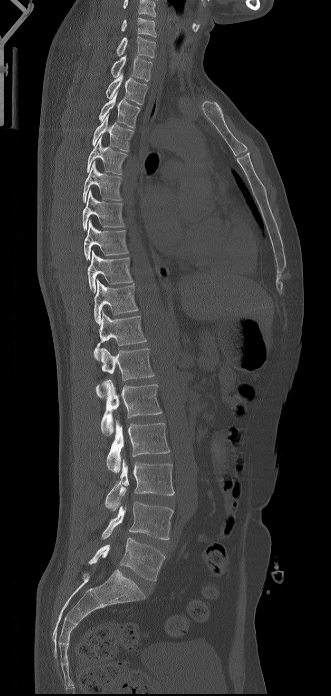 Spine CT — sagittal view — 331x696 px — image 331 mm wide. Boxes are given in columns x1, y1, x2, y2, the pixel coordinates of their top-left and bottom-right corners.
In this scan, the topmost labeled vertebra is C6 and the lowest is L5.
| vertebra | x1 | y1 | x2 | y2 |
|---|---|---|---|---|
| L5 | 88 | 537 | 165 | 581 |
| L4 | 101 | 501 | 173 | 539 |
| L3 | 105 | 459 | 174 | 510 |
| L2 | 106 | 420 | 170 | 473 |
| L1 | 101 | 380 | 162 | 434 |
| T12 | 96 | 348 | 154 | 398 |
| T11 | 93 | 312 | 146 | 360 |
| T10 | 94 | 279 | 138 | 324 |
| T9 | 87 | 251 | 132 | 293 |
| T8 | 84 | 220 | 128 | 259 |
| T7 | 82 | 190 | 124 | 229 |
| T6 | 83 | 161 | 122 | 202 |
| T5 | 86 | 137 | 126 | 174 |
| T4 | 92 | 114 | 133 | 151 |
| T3 | 99 | 91 | 140 | 128 |
| T2 | 106 | 73 | 147 | 104 |
| T1 | 110 | 55 | 152 | 81 |
| C7 | 116 | 36 | 155 | 57 |
| C6 | 121 | 17 | 156 | 36 |